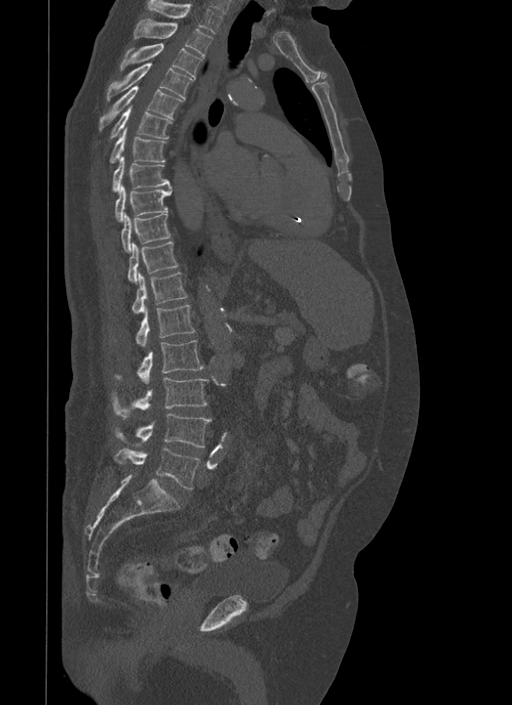
Spine computed tomography. sagittal view. 512x705 px. image 500 mm wide
Boxes: x1:y1:x2:y2 in pixels.
T1: 147:0:221:34
T2: 135:18:212:58
T3: 119:43:202:79
T4: 106:62:193:99
T5: 99:85:183:130
T6: 110:105:172:138
T7: 109:128:165:163
T8: 112:157:169:192
T9: 114:184:171:221
T10: 121:213:170:253
T11: 128:242:177:283
T12: 133:271:188:313
L1: 137:304:195:346
L2: 115:340:204:383
L3: 111:378:208:418
L4: 114:414:211:448
L5: 114:447:200:488